CT, spine. sagittal view. 512x808 px
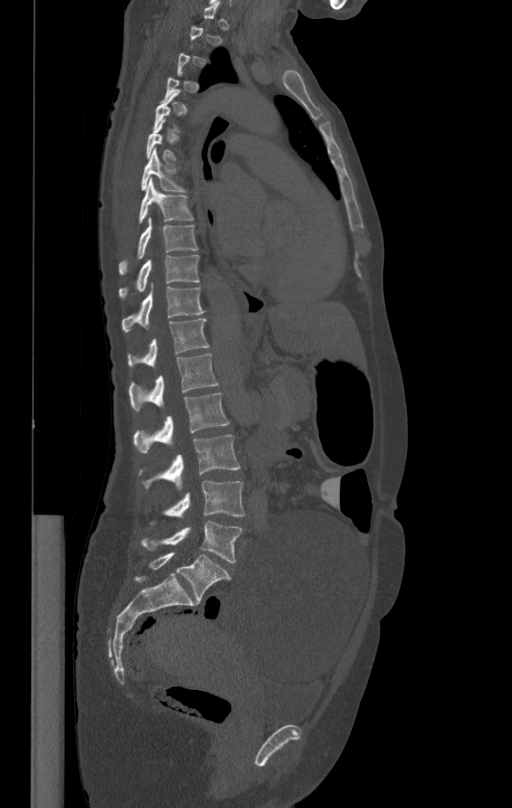 Boxes: x1:y1:x2:y2 in pixels.
A vertebra gets a box only on the slices from the first to the last where its cross-section is at least a third of its largest; on a slice outside that range it gets none.
Vertebra bounding boxes:
- T7: 141:149:187:191
- T8: 138:179:193:224
- T9: 119:217:198:274
- T10: 119:255:199:299
- T11: 122:284:205:332
- T12: 128:318:209:367
- L1: 129:352:219:411
- L2: 133:393:229:452
- L3: 139:435:240:489
- L4: 150:481:245:525
- L5: 142:520:242:563